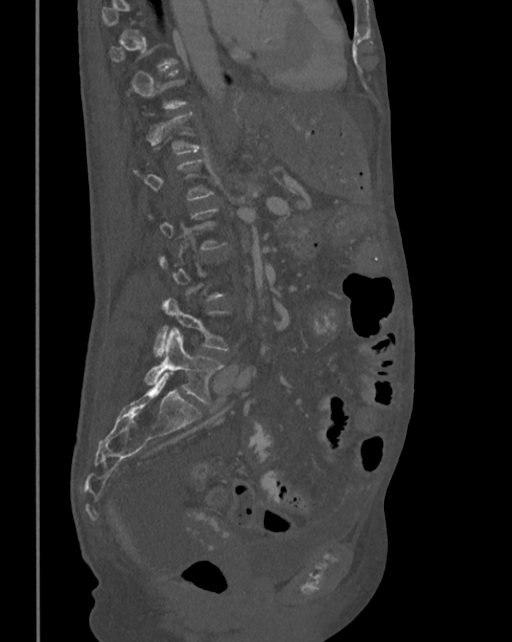
CT, spine — sagittal view

Boxes: x1 y1 x2 y2 (pixel coords, space-separated). Each vertebra is boxed only on the slices from the first to the last where its cross-section reaches a third of its largest, so a slice outside that range leaves it unboxed. Vertebrae labeled: L5 at 145 330 223 406, L4 at 154 299 229 354.